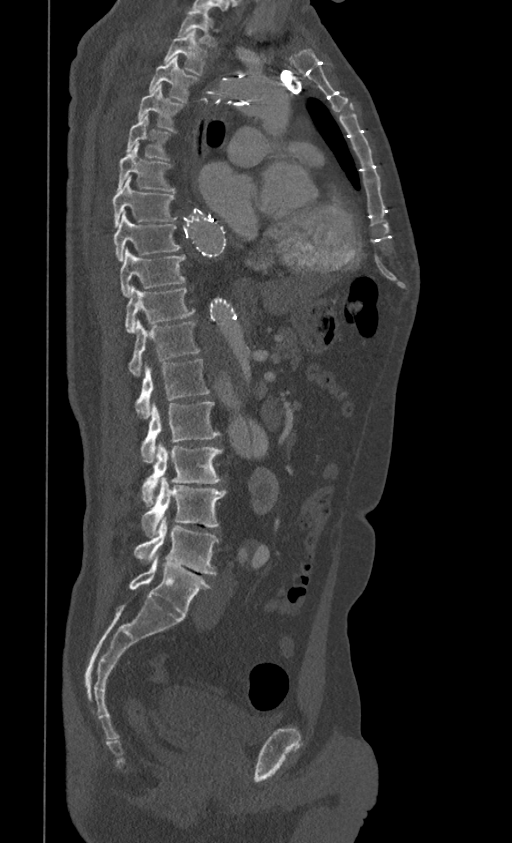 CT spine; sagittal reformat; the image is 399 mm wide
Boxes: x1 y1 x2 y2 (pixel coords, space-separated). 17 vertebrae labeled — T1 at 177 10 216 46; T2 at 163 30 207 76; T3 at 149 57 198 102; T4 at 137 84 182 130; T5 at 126 115 170 160; T6 at 117 146 173 192; T7 at 113 177 176 227; T8 at 113 210 180 261; T9 at 119 247 185 297; T10 at 126 285 194 333; T11 at 128 320 199 377; T12 at 135 359 209 418; L1 at 141 402 220 462; L2 at 141 442 222 505; L3 at 141 476 226 537; L4 at 135 515 218 574; L5 at 129 553 212 616.